CT spine; sagittal view; the image is 140 mm wide; W/L 1800/400 HU; scan covers 10 annotated vertebrae
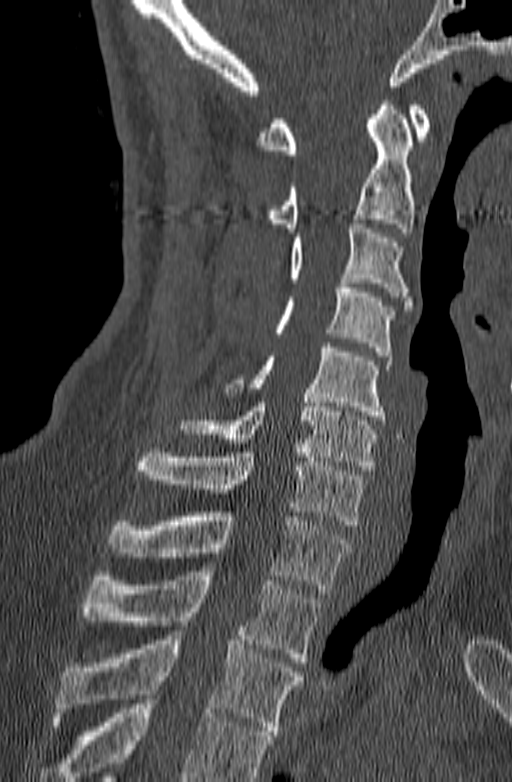
Each box is [x1, y1, x2, y2] in pixels: top-left corner, then bottom-right corner.
No box is given to a vertebra that the bottom edge of the scan cuts off.
{"vertebrae":{"T3":[53,631,302,735],"T2":[81,571,320,662],"T1":[107,512,351,593],"C7":[135,448,366,525],"C6":[177,398,377,470],"C5":[224,343,391,420],"C4":[272,279,395,356],"C3":[289,219,412,310],"C2":[265,96,414,232],"C1":[257,105,430,154]}}